Computed tomography of the spine; sagittal view; bone window; 512x512 px; scan covers 16 annotated vertebrae
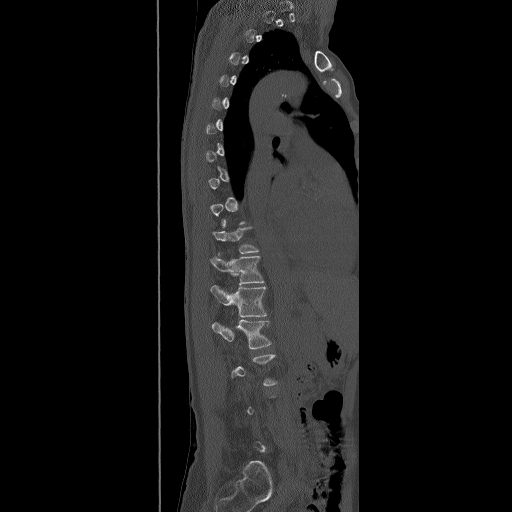 Each box given as x1,y1,x2,y2.
A vertebra is boxed only from the first to the last slice where its cross-section is at least a third of its largest; slices outside that range leave it without a box.
Vertebra bounding boxes:
- T11: x1=212, y1=219, x2=258, y2=253
- T12: x1=209, y1=252, x2=264, y2=284
- L1: x1=210, y1=285, x2=267, y2=316
- L2: x1=211, y1=319, x2=272, y2=349